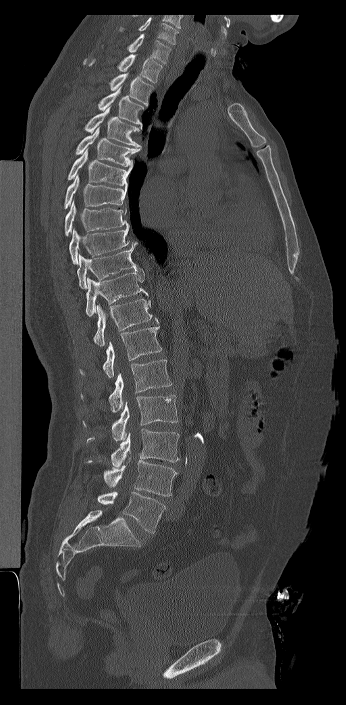
CT spine · sagittal view · Bone window (WL 400, WW 1800)

Each box is [x1, y1, x2, y2] in pixels: top-left corner, then bottom-right corner.
In this scan, the topmost labeled vertebra is C7 and the lowest is L6.
These labels give the spine a sixth lumbar vertebra, L6, below L5.
{"vertebrae":{"C7":[127,33,171,63],"T1":[83,54,162,83],"T2":[109,73,154,106],"T3":[98,87,144,129],"T4":[84,107,141,148],"T5":[75,127,140,166],"T6":[67,148,132,187],"T7":[64,174,127,209],"T8":[64,200,129,236],"T9":[69,227,129,264],"T10":[77,241,144,289],"T11":[85,271,148,316],"T12":[93,298,158,347],"L1":[80,323,162,377],"L2":[81,359,172,412],"L3":[82,394,178,441],"L4":[87,428,179,467],"L5":[86,460,177,496],"L6":[97,491,165,533]}}